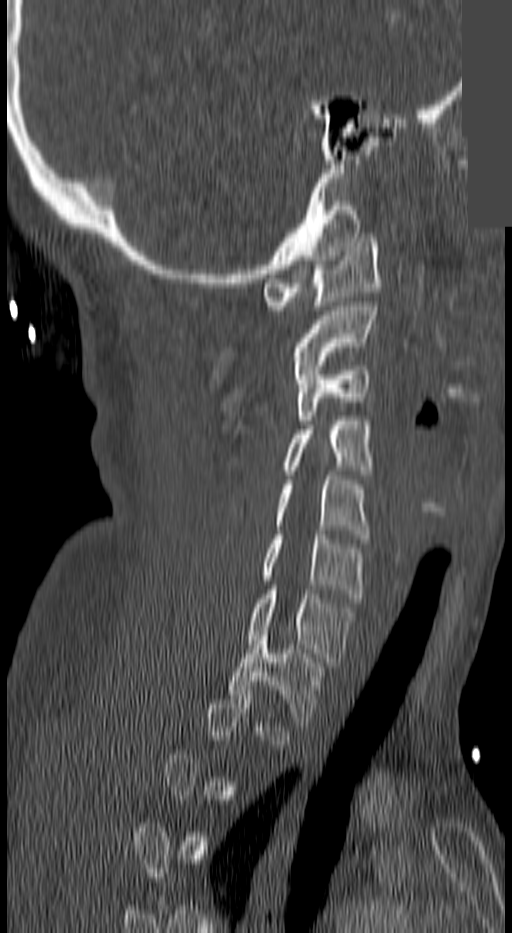 Computed tomography of the spine; sagittal view; bone-window reconstruction; an area of the scan was removed and filled with constant pixels
Each box given as x1,y1,x2,y2.
Not every vertebra on this slice has a box: a vertebra is boxed only from the first to the last slice where its cross-section is at least a third of its largest, and this slice is outside that range for at least one of them.
C1: x1=265, y1=238, x2=381, y2=310
C2: x1=294, y1=302, x2=377, y2=378
C3: x1=296, y1=366, x2=370, y2=424
C4: x1=283, y1=416, x2=373, y2=474
C5: x1=276, y1=475, x2=370, y2=538
C6: x1=261, y1=535, x2=362, y2=598
C7: x1=246, y1=590, x2=355, y2=666
T1: x1=228, y1=635, x2=322, y2=726